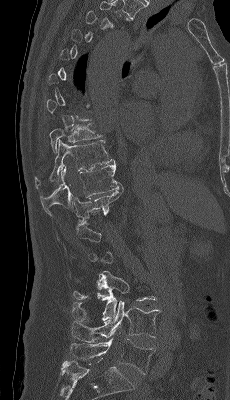

Computed tomography of the spine. sagittal view. Bone window (WL 400, WW 1800)

Box edges are left/top/right/bottom in pixels. Each vertebra is boxed only on the slices from the first to the last where its cross-section reaches a third of its largest, so a slice outside that range leaves it unboxed. 7 vertebrae labeled — T9 at left=49, top=123, right=102, bottom=152; T10 at left=35, top=140, right=115, bottom=188; T11 at left=40, top=164, right=123, bottom=215; T12 at left=56, top=186, right=124, bottom=244; L3 at left=72, top=271, right=156, bottom=322; L4 at left=71, top=299, right=160, bottom=342; L5 at left=70, top=338, right=155, bottom=374.